CT, spine — the image is 380 mm wide — sagittal view
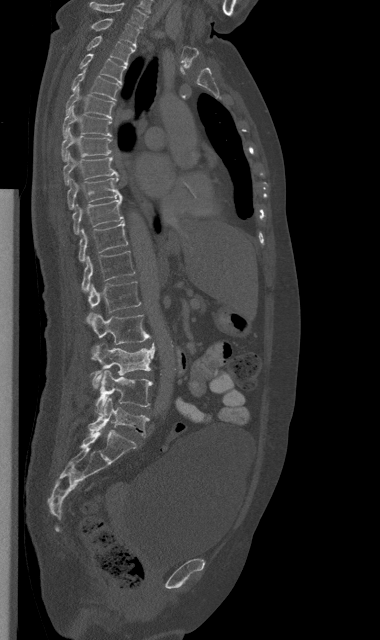 <vertebrae><v name="C7" x1="88" y1="2" x2="145" y2="28"/><v name="T1" x1="90" y1="18" x2="138" y2="46"/><v name="T2" x1="87" y1="36" x2="134" y2="65"/><v name="T3" x1="80" y1="53" x2="126" y2="84"/><v name="T4" x1="71" y1="69" x2="119" y2="100"/><v name="T5" x1="66" y1="87" x2="114" y2="118"/><v name="T6" x1="62" y1="107" x2="112" y2="138"/><v name="T7" x1="61" y1="127" x2="111" y2="161"/><v name="T8" x1="63" y1="152" x2="118" y2="184"/><v name="T9" x1="67" y1="176" x2="123" y2="209"/><v name="T10" x1="72" y1="198" x2="124" y2="234"/><v name="T11" x1="78" y1="222" x2="127" y2="262"/><v name="T12" x1="82" y1="251" x2="134" y2="291"/><v name="L1" x1="87" y1="281" x2="140" y2="323"/><v name="L2" x1="92" y1="313" x2="150" y2="344"/><v name="L3" x1="90" y1="343" x2="154" y2="389"/><v name="L4" x1="96" y1="370" x2="152" y2="414"/><v name="L5" x1="88" y1="398" x2="149" y2="437"/></vertebrae>